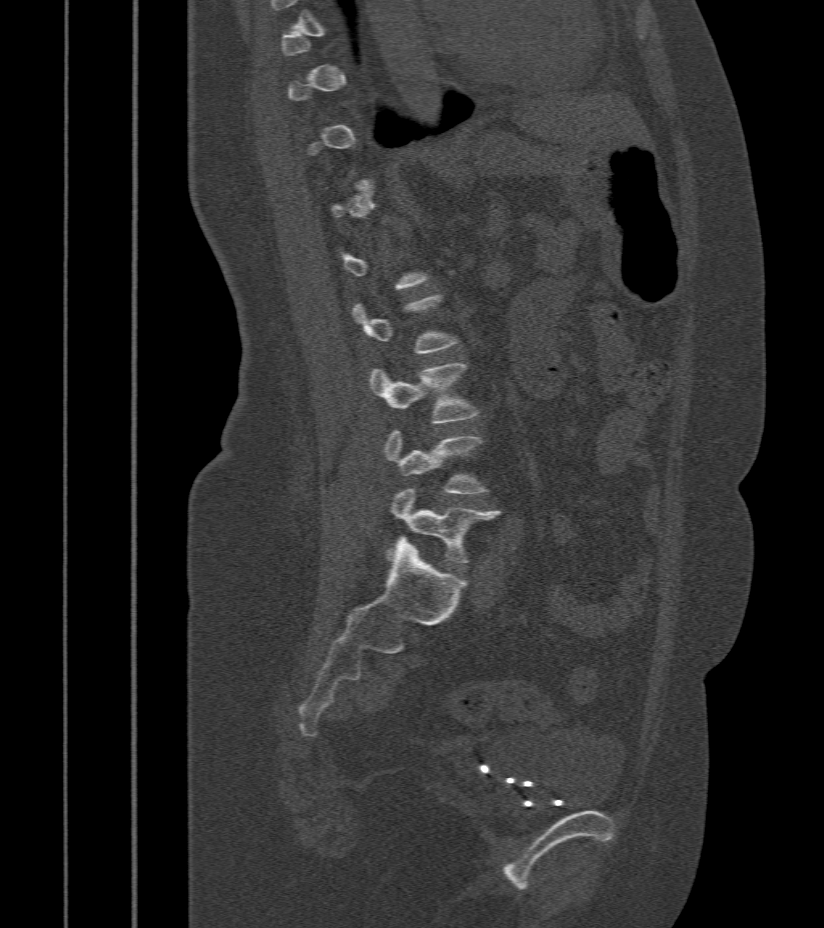

CT spine · sagittal view · Bone window (WL 400, WW 1800)
Boxes below are [x1, y1, x2, y2] in pixels.
A vertebra is boxed only from the first to the last slice where its cross-section is at least a third of its largest; slices outside that range leave it without a box.
{"vertebrae":{"L3":[370,363,479,424],"L4":[383,431,487,494],"L5":[389,489,500,564]}}